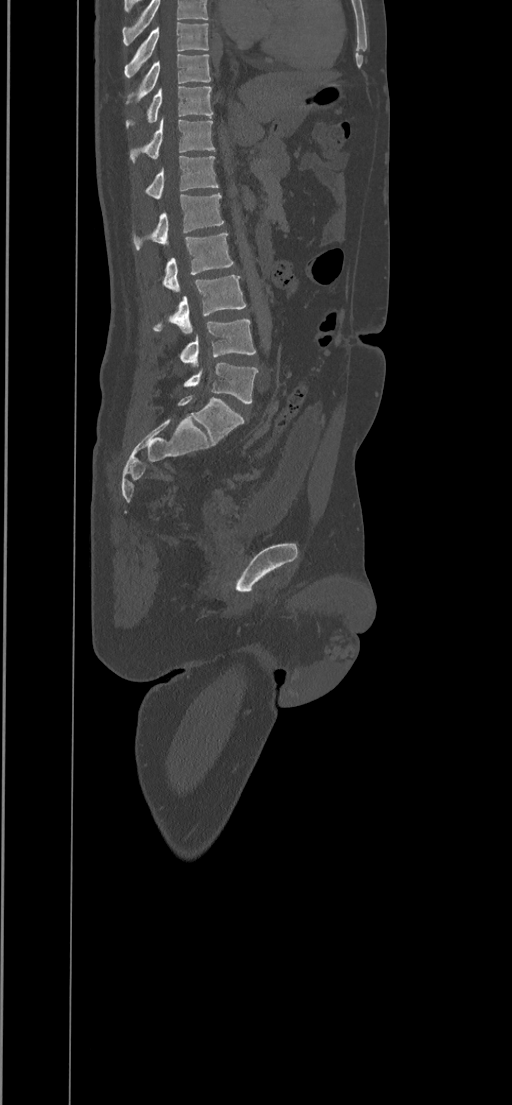 Computed tomography of the spine; image 434 mm wide; sagittal view

Columns x1, y1, x2, y2 give each box's top-left and bottom-right pixels.
In this scan, the topmost labeled vertebra is T8 and the lowest is L5.
| vertebra | x1 | y1 | x2 | y2 |
|---|---|---|---|---|
| T8 | 124 | 22 | 209 | 77 |
| T9 | 125 | 54 | 211 | 104 |
| T10 | 126 | 86 | 212 | 125 |
| T11 | 130 | 117 | 215 | 163 |
| T12 | 144 | 156 | 218 | 199 |
| L1 | 133 | 193 | 223 | 250 |
| L2 | 162 | 233 | 234 | 293 |
| L3 | 153 | 275 | 245 | 335 |
| L4 | 180 | 319 | 255 | 367 |
| L5 | 183 | 362 | 257 | 404 |